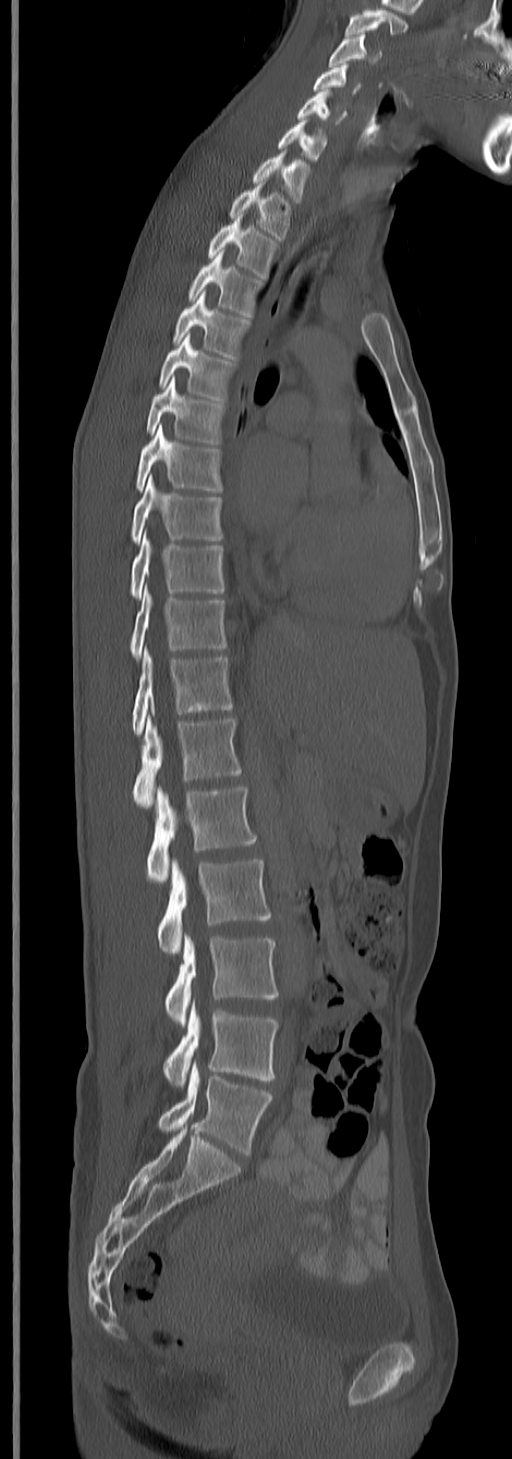

Spine computed tomography. sagittal reformat. W/L 1800/400 HU. 512x1459 px
Labels in this scan begin with C3 at the top and end with L5 at the bottom.
<vertebrae><v name="C3" x1="329" y1="32" x2="382" y2="66"/><v name="C4" x1="312" y1="63" x2="361" y2="94"/><v name="C5" x1="297" y1="88" x2="332" y2="123"/><v name="C6" x1="276" y1="120" x2="328" y2="160"/><v name="C7" x1="251" y1="151" x2="309" y2="202"/><v name="T1" x1="228" y1="184" x2="292" y2="240"/><v name="T2" x1="207" y1="218" x2="277" y2="278"/><v name="T3" x1="189" y1="251" x2="263" y2="317"/><v name="T4" x1="172" y1="291" x2="250" y2="359"/><v name="T5" x1="159" y1="335" x2="236" y2="401"/><v name="T6" x1="147" y1="377" x2="225" y2="443"/><v name="T7" x1="134" y1="425" x2="221" y2="493"/><v name="T8" x1="130" y1="475" x2="223" y2="543"/><v name="T9" x1="130" y1="534" x2="225" y2="599"/><v name="T10" x1="130" y1="588" x2="227" y2="660"/><v name="T11" x1="132" y1="649" x2="234" y2="733"/><v name="T12" x1="132" y1="716" x2="242" y2="808"/><v name="L1" x1="147" y1="786" x2="257" y2="884"/><v name="L2" x1="157" y1="858" x2="271" y2="955"/><v name="L3" x1="164" y1="933" x2="277" y2="1026"/><v name="L4" x1="164" y1="1000" x2="277" y2="1086"/><v name="L5" x1="157" y1="1062" x2="273" y2="1155"/></vertebrae>